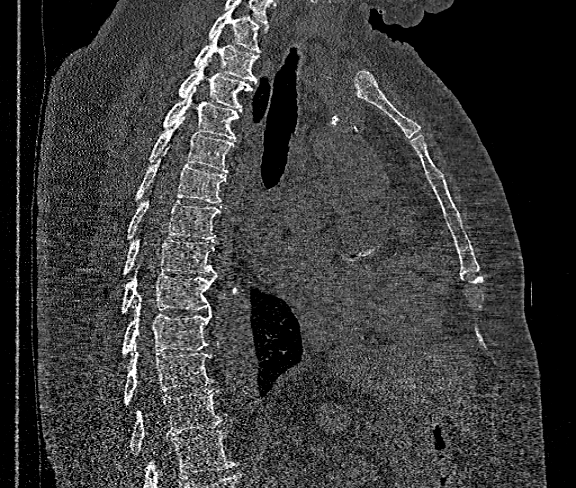
CT spine; sagittal view; W/L 1800/400 HU; 576x488 px

No box is given to a vertebra that the bottom edge of the scan cuts off.
<vertebrae><v name="T1" x1="208" y1="9" x2="268" y2="52"/><v name="T2" x1="193" y1="29" x2="260" y2="83"/><v name="T3" x1="178" y1="63" x2="254" y2="110"/><v name="T4" x1="161" y1="87" x2="241" y2="140"/><v name="T5" x1="148" y1="117" x2="234" y2="174"/><v name="T6" x1="114" y1="148" x2="226" y2="228"/><v name="T7" x1="126" y1="200" x2="219" y2="241"/><v name="T8" x1="121" y1="237" x2="215" y2="275"/><v name="T9" x1="119" y1="274" x2="216" y2="315"/><v name="T10" x1="121" y1="301" x2="212" y2="356"/><v name="T11" x1="123" y1="352" x2="213" y2="406"/><v name="T12" x1="129" y1="389" x2="226" y2="454"/></vertebrae>